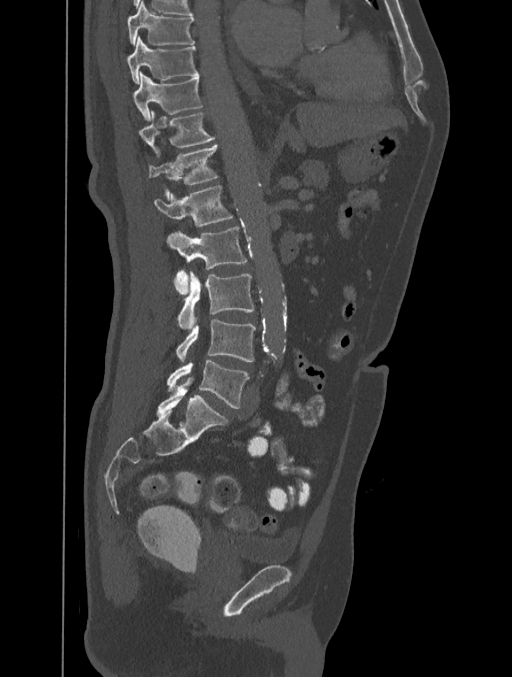

Computed tomography of the spine · sagittal view · W/L 1800/400 HU
Boxes: x1 y1 x2 y2 (pixel coords, space-separated).
Vertebra bounding boxes:
- T8: 126 2 194 44
- T9: 126 37 198 83
- T10: 133 72 202 121
- T11: 138 111 216 155
- T12: 149 145 217 198
- L1: 154 185 233 227
- L2: 166 226 247 294
- L3: 177 271 254 329
- L4: 176 319 255 362
- L5: 167 360 249 408